CT, spine; sagittal view; bone window; 512x681 px; image width 140 mm
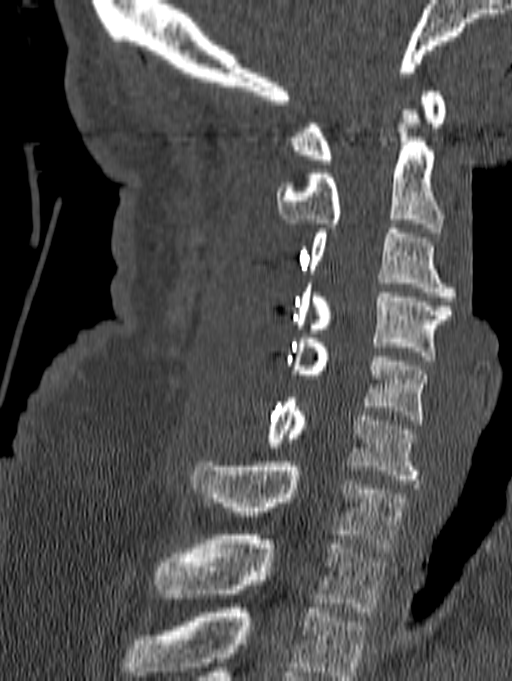

Box edges are left/top/right/bottom in pixels.
The highest labeled vertebra in this scan is C1; the lowest is T1.
Vertebra bounding boxes:
- C1: left=289, top=91, right=445, bottom=164
- C2: left=276, top=110, right=443, bottom=232
- C3: left=308, top=229, right=455, bottom=301
- C4: left=294, top=283, right=451, bottom=360
- C5: left=287, top=338, right=428, bottom=424
- C6: left=265, top=398, right=421, bottom=484
- C7: left=192, top=462, right=406, bottom=552
- T1: left=155, top=535, right=386, bottom=616